CT spine. sagittal view. 140 mm across the image
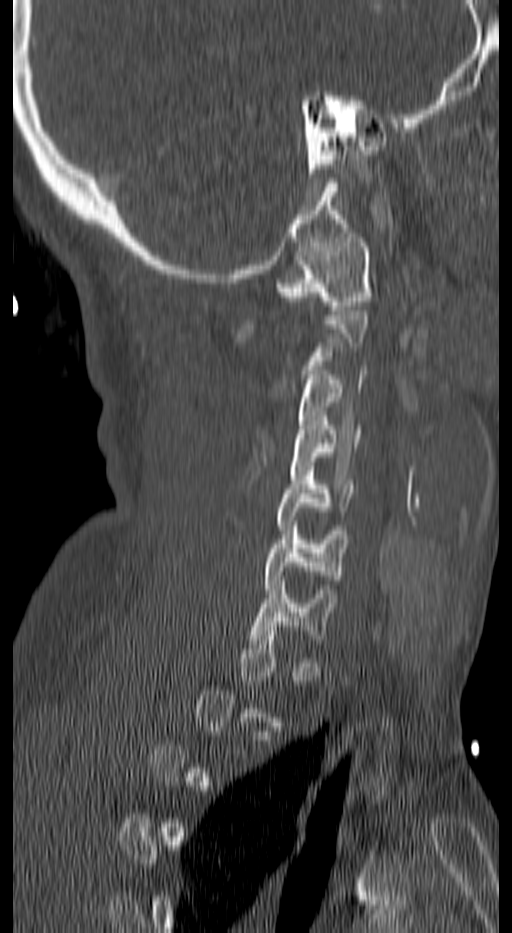

Boxes are given in columns x1, y1, x2, y2, the pixel coordinates of their top-left and bottom-right corners.
A vertebra is boxed only from the first to the last slice where its cross-section is at least a third of its largest; slices outside that range leave it without a box.
| vertebra | x1 | y1 | x2 | y2 |
|---|---|---|---|---|
| C7 | 250 | 581 | 333 | 644 |
| C6 | 265 | 521 | 348 | 593 |
| C5 | 276 | 466 | 355 | 534 |
| C4 | 290 | 416 | 362 | 479 |
| C3 | 296 | 370 | 366 | 438 |
| C1 | 279 | 233 | 370 | 310 |